Spine CT; sagittal plane, index 219; 512x689 px
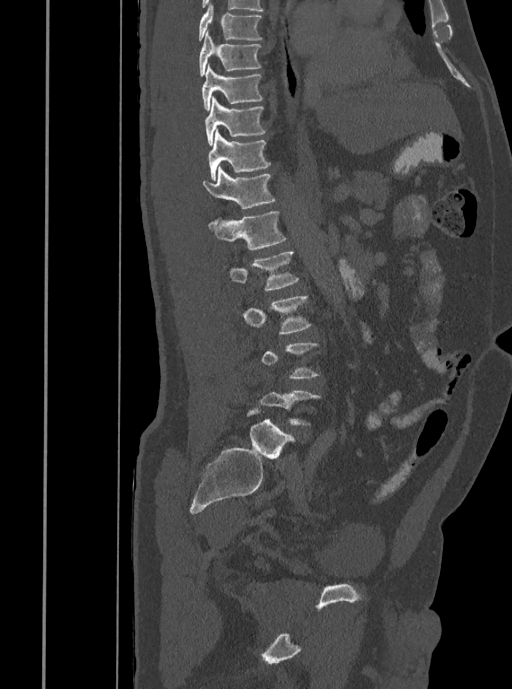

Each box given as x1,y1,x2,y2.
A vertebra gets a box only on the slices from the first to the last where its cross-section is at least a third of its largest; on a slice outside that range it gets none.
| vertebra | x1 | y1 | x2 | y2 |
|---|---|---|---|---|
| L3 | 243 | 296 | 310 | 334 |
| L2 | 230 | 251 | 299 | 290 |
| L1 | 208 | 211 | 285 | 249 |
| T12 | 203 | 166 | 275 | 209 |
| T11 | 208 | 130 | 270 | 180 |
| T10 | 204 | 96 | 265 | 146 |
| T9 | 202 | 63 | 262 | 110 |
| T8 | 199 | 30 | 261 | 76 |
| T7 | 198 | 3 | 261 | 41 |